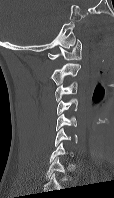

CT; sagittal reformat; bone-window reconstruction. Boxes: x1 y1 x2 y2 (pixel coords, space-separated). Not every vertebra on this slice has a box: a vertebra is boxed only from the first to the last slice where its cross-section is at least a third of its largest, and this slice is outside that range for at least one of them. Vertebrae labeled: C6 at 54 128 77 146, C5 at 55 114 76 130, C4 at 56 98 77 115, C3 at 54 81 77 101, C2 at 51 62 80 85, C1 at 48 39 82 60.